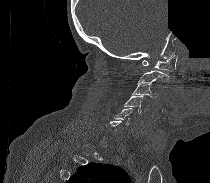
CT spine; sagittal view; the image spans 210 mm across; part of the image has been replaced by a constant value
Box edges are left/top/right/bottom in pixels.
Not every vertebra on this slice has a box: a vertebra is boxed only from the first to the last slice where its cross-section is at least a third of its largest, and this slice is outside that range for at least one of them.
Vertebra bounding boxes:
- C1: left=142, top=55, right=177, bottom=71
- C2: left=139, top=70, right=169, bottom=82
- C3: left=130, top=81, right=158, bottom=97
- C4: left=124, top=96, right=145, bottom=113
- C5: left=114, top=108, right=132, bottom=124